CT. sagittal reformat. 12 vertebrae labeled in this scan
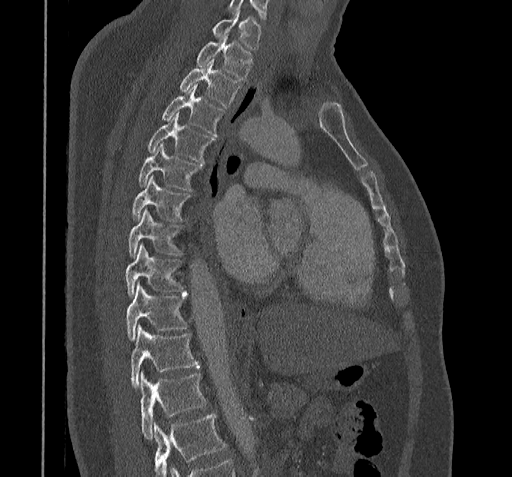

Boxes: x1 y1 x2 y2 (pixel coords, space-separated).
A vertebra cut off by the bottom edge of the scan is not labeled and has no box.
C7: 211 10 261 49
T1: 195 34 252 79
T2: 179 59 240 106
T3: 162 86 223 135
T4: 148 113 213 164
T5: 138 145 203 191
T6: 132 176 190 221
T7: 128 209 182 257
T8: 125 245 186 298
T9: 125 282 186 341
T10: 130 325 199 388
T11: 140 372 207 438